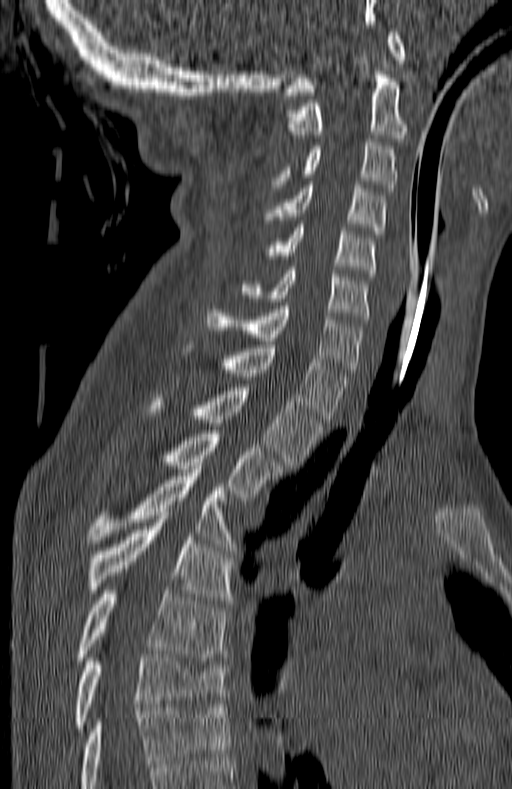
CT spine. sagittal reformat. bone-window reconstruction. 512x789 px

Boxes: x1:y1:x2:y2 in pixels.
This scan's labels start at C1 at the top and end at T7 at the bottom.
Vertebra bounding boxes:
- C1: 285:32:404:95
- C2: 288:71:407:141
- C3: 273:139:395:191
- C4: 265:185:387:234
- C5: 261:224:375:276
- C6: 243:267:370:323
- C7: 206:306:364:372
- T1: 226:345:349:422
- T2: 152:384:321:468
- T3: 166:430:282:497
- T4: 89:473:230:547
- T5: 86:516:230:600
- T6: 75:590:227:664
- T7: 75:654:225:731